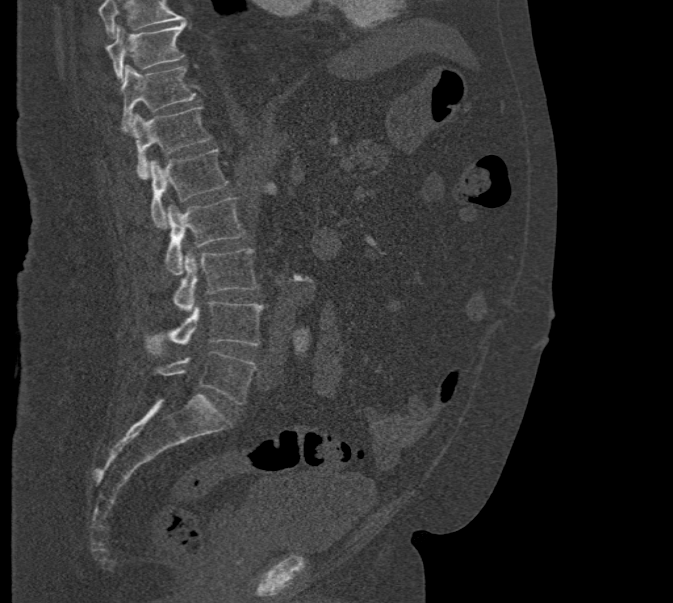
Spine CT — image 471 mm wide — sagittal view — Bone window (WL 400, WW 1800)
Box edges are left/top/right/bottom in pixels.
A vertebra cut off by the top edge of the scan is not labeled and has no box.
| vertebra | x1 | y1 | x2 | y2 |
|---|---|---|---|---|
| T10 | 105 | 22 | 186 | 82 |
| T11 | 120 | 65 | 196 | 131 |
| T12 | 129 | 106 | 211 | 178 |
| L1 | 150 | 149 | 228 | 228 |
| L2 | 166 | 198 | 245 | 275 |
| L3 | 172 | 249 | 258 | 311 |
| L4 | 146 | 302 | 263 | 354 |
| L5 | 154 | 350 | 257 | 404 |